Spine CT — sagittal plane, index 316 — W/L 1800/400 HU — scan covers 19 annotated vertebrae
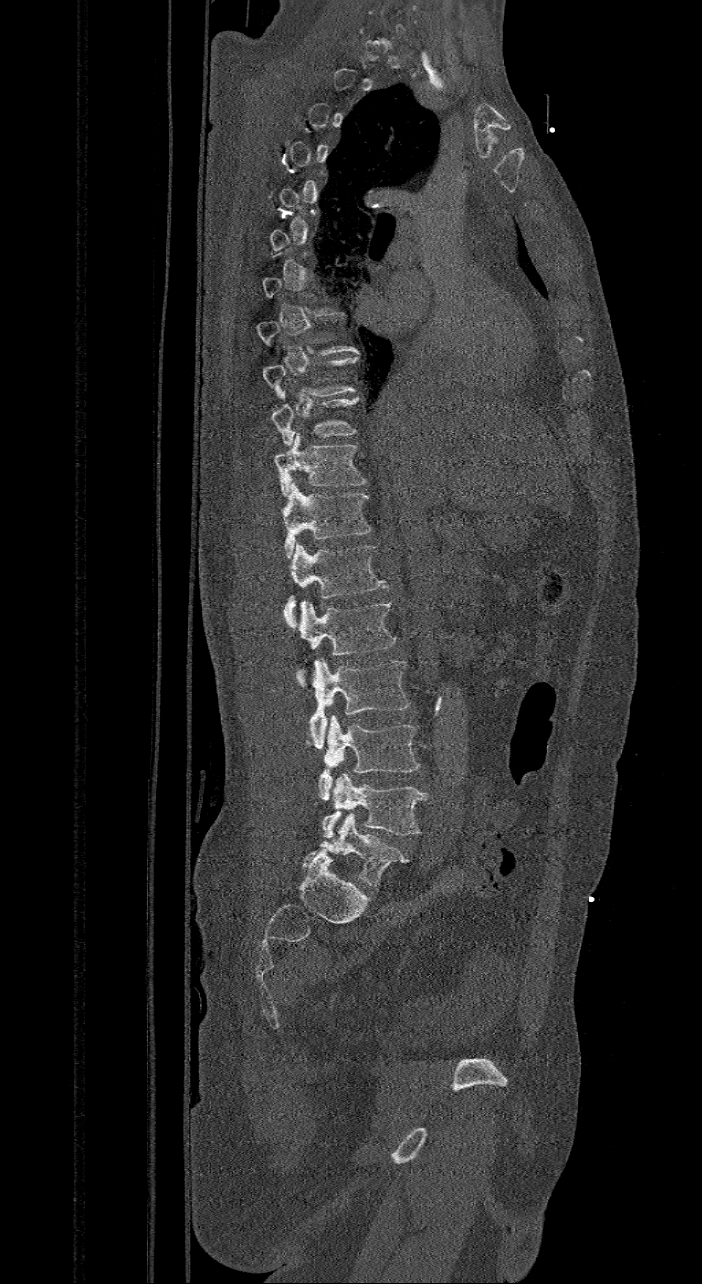 Each vertebra maps to its box as [x1, y1, x2, y2], the pixel coordinates of its top-left and bottom-right corners.
A vertebra is boxed only from the first to the last slice where its cross-section is at least a third of its largest; slices outside that range leave it without a box.
In these labels the spine has an L6, a sixth lumbar vertebra below L5.
{"vertebrae":{"T10":[270,397,357,447],"T11":[271,432,365,496],"T12":[280,482,370,557],"L1":[284,543,387,628],"L2":[296,600,395,675],"L3":[306,658,409,748],"L4":[317,714,418,801],"L5":[322,773,429,837],"L6":[303,813,409,887]}}